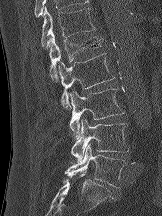

CT spine — sagittal view — Bone window (WL 400, WW 1800) — 162x216 px
Boxes: x1:y1:x2:y2 in pixels. The labeled vertebrae in this slice are: T12 at 41:6:95:49, L1 at 49:33:103:81, L2 at 58:53:114:108, L3 at 69:88:124:138, L4 at 70:118:129:161, L5 at 63:143:126:188.